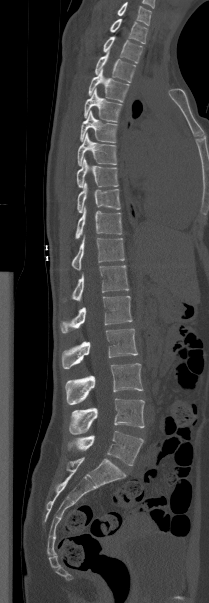

CT; image width 209 mm; sagittal view. Boxes are (x1, y1, x2, y2) in pixels. In this scan, the topmost labeled vertebra is T1 and the lowest is L5. The labeled vertebrae in this slice are: T1 at (110, 18, 147, 43), T2 at (103, 36, 142, 63), T3 at (95, 52, 135, 82), T4 at (88, 69, 129, 101), T5 at (84, 89, 122, 122), T6 at (80, 111, 117, 142), T7 at (77, 133, 117, 165), T8 at (77, 158, 118, 187), T9 at (77, 182, 120, 212), T10 at (75, 207, 122, 239), T11 at (72, 235, 124, 269), T12 at (63, 265, 129, 301), L1 at (60, 296, 132, 333), L2 at (61, 329, 138, 368), L3 at (65, 363, 143, 404), L4 at (69, 398, 144, 434), L5 at (68, 431, 143, 465).